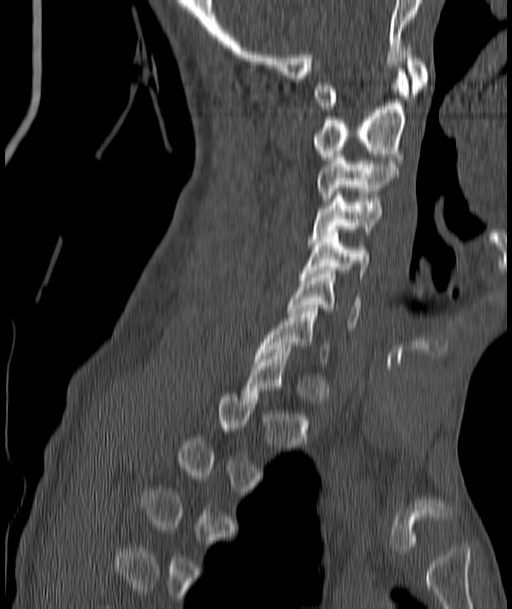
Spine computed tomography · the image spans 187 mm across · sagittal reformat
Boxes below are [x1, y1, x2, y2] in pixels.
Each vertebra is boxed only on the slices from the first to the last where its cross-section reaches a third of its largest, so a slice outside that range leaves it unboxed.
{"vertebrae":{"C7":[255,308,329,365],"C6":[288,270,361,328],"C5":[302,229,369,276],"C4":[307,192,382,242],"C3":[318,151,396,201],"C2":[313,72,408,163],"C1":[316,44,427,109]}}